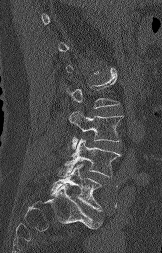

CT, spine — sagittal view
Each vertebra is boxed only on the slices from the first to the last where its cross-section reaches a third of its largest, so a slice outside that range leaves it unboxed.
<vertebrae><v name="L2" x1="66" y1="72" x2="119" y2="108"/><v name="L3" x1="69" y1="110" x2="122" y2="148"/><v name="L4" x1="58" y1="138" x2="120" y2="178"/><v name="L5" x1="51" y1="164" x2="102" y2="210"/></vertebrae>